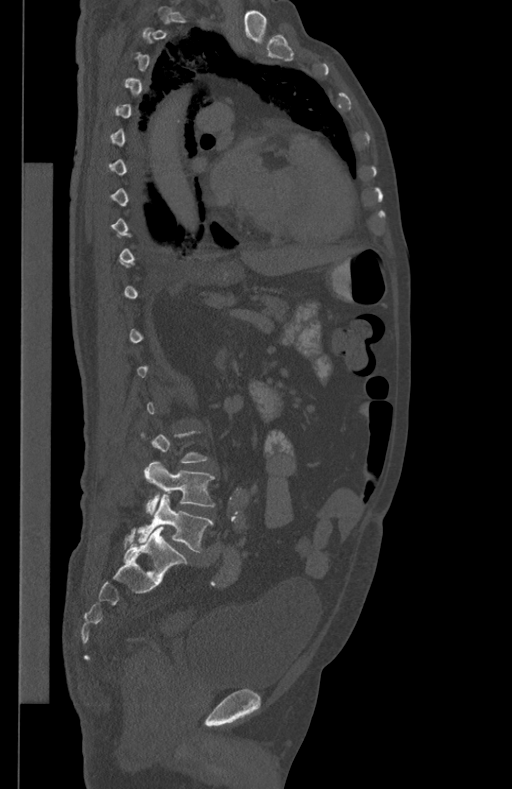
Spine CT; sagittal view. Boxes: x1 y1 x2 y2 (pixel coords, space-separated). Each vertebra is boxed only on the slices from the first to the last where its cross-section reaches a third of its largest, so a slice outside that range leaves it unboxed. Vertebrae labeled: L5 at 137 494 212 552, L4 at 144 461 215 514.